Computed tomography of the spine; Sagittal slice 228/512; scan covers 7 annotated vertebrae; the image spans 345 mm across
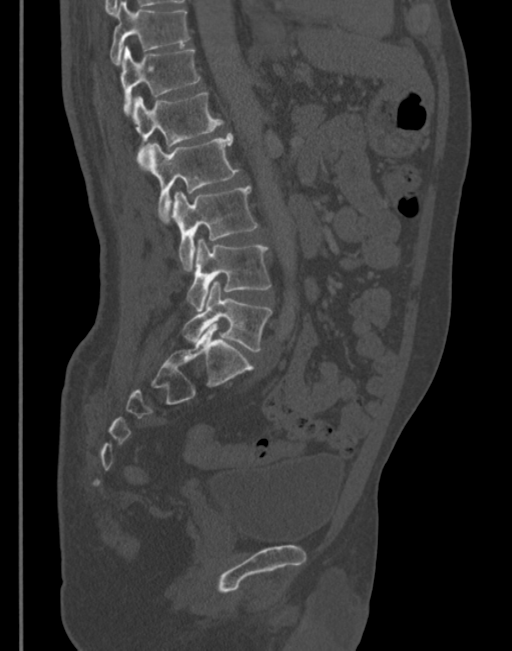 Each box given as x1,y1,x2,y2. 7 vertebrae labeled — T11 at x1=110, y1=2, x2=190, y2=65; T12 at x1=120, y1=45, x2=201, y2=115; L1 at x1=132, y1=91, x2=223, y2=169; L2 at x1=141, y1=133, x2=239, y2=220; L3 at x1=172, y1=186, x2=258, y2=270; L4 at x1=187, y1=239, x2=270, y2=311; L5 at x1=182, y1=281, x2=272, y2=352.